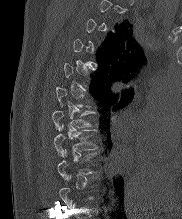 Spine computed tomography — sagittal reformat — 182 mm image width — 182x219 px
A vertebra gets a box only on the slices from the first to the last where its cross-section is at least a third of its largest; on a slice outside that range it gets none.
<vertebrae><v name="T7" x1="52" y1="111" x2="94" y2="129"/><v name="T8" x1="53" y1="126" x2="96" y2="155"/></vertebrae>